Spine computed tomography. sagittal plane, index 155. bone window
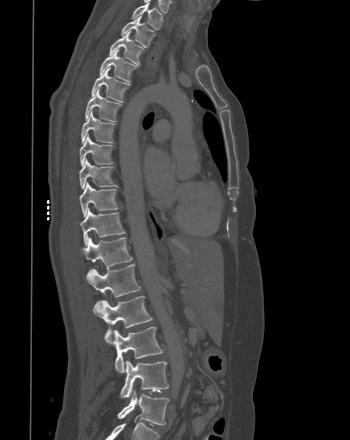

Box values are [left, top, right, bottom] in pixels.
{"vertebrae":{"L5":[117,390,169,425],"L4":[120,360,168,397],"L3":[105,326,162,373],"L2":[93,295,152,342],"L1":[86,263,140,297],"T12":[80,237,132,275],"T11":[80,207,125,245],"T10":[79,182,117,216],"T9":[79,158,116,189],"T8":[79,133,112,166],"T7":[81,110,114,143],"T6":[85,88,121,121],"T5":[91,68,130,102],"T4":[99,49,136,81],"T3":[109,31,143,64],"T2":[121,15,155,47],"T1":[132,2,162,29]}}